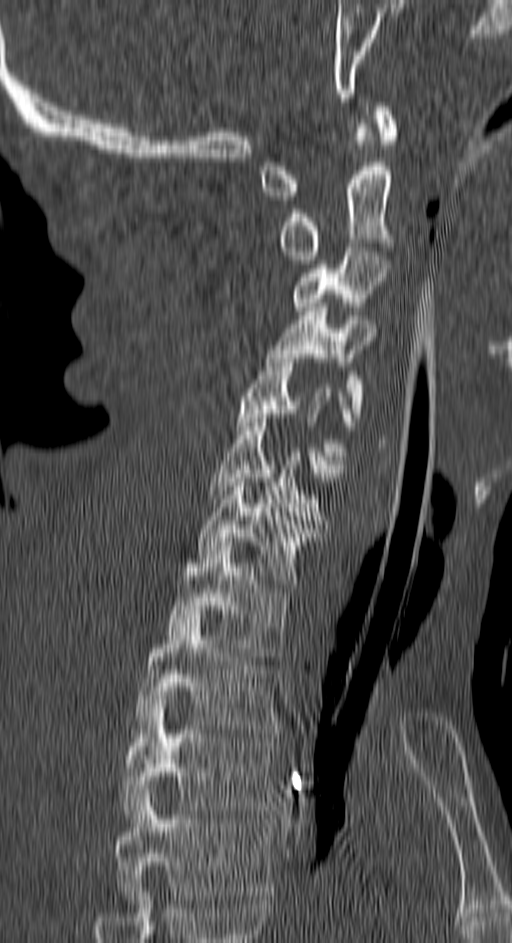 CT, spine — sagittal view

Boxes below are [x1, y1, x2, y2] in pixels.
In this scan, the topmost labeled vertebra is C1 and the lowest is T4.
{"vertebrae":{"C1":[261,102,396,200],"C2":[278,124,393,264],"C3":[291,247,386,310],"C4":[266,307,376,417],"C5":[235,354,354,473],"C6":[209,418,331,524],"C7":[199,474,318,588],"T1":[168,542,291,660],"T2":[134,614,280,733],"T3":[121,695,277,818],"T4":[114,794,273,899]}}